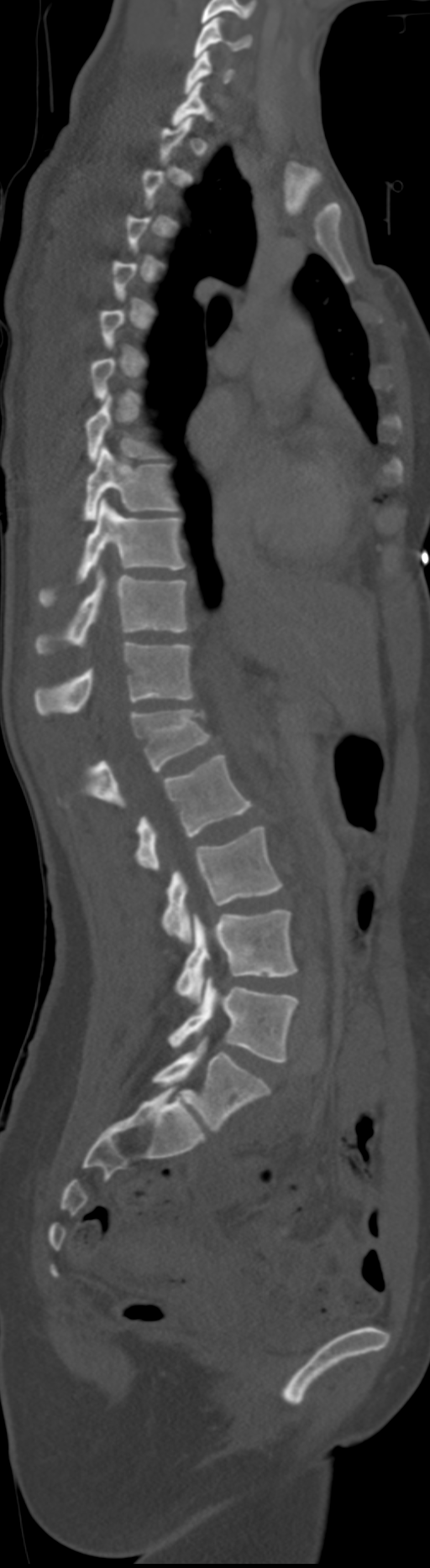
Spine computed tomography; sagittal view; 192 mm wide
Boxes below are [x1, y1, x2, y2] in pixels.
A vertebra gets a box only on the slices from the first to the last where its cross-section is at least a third of its largest; on a slice outside that range it gets none.
The labels name a sixth lumbar vertebra for this spine: L6, after L5. In these labels the thoracic vertebrae end at T11, so L1 follows T11.
{"vertebrae":{"C5":[193,17,251,57],"C6":[184,51,233,94],"T7":[86,394,161,462],"T8":[83,446,177,519],"T9":[39,499,186,606],"T10":[34,567,188,655],"T11":[34,640,195,716],"L1":[84,710,210,807],"L2":[135,754,253,870],"L3":[162,826,282,944],"L4":[175,909,298,1002],"L5":[169,976,298,1062],"L6":[153,1036,271,1129]}}